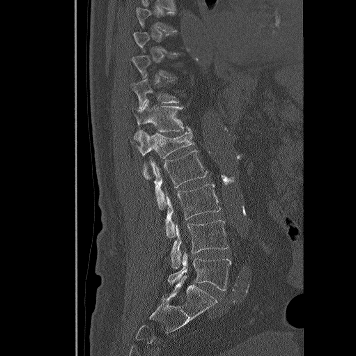
Spine CT · sagittal view · 356x356 px

Each box given as x1,y1,x2,y2.
Not every vertebra on this slice has a box: a vertebra is boxed only from the first to the last slice where its cross-section is at least a third of its largest, and this slice is outside that range for at least one of them.
L5: x1=168, y1=252, x2=231, y2=290
L4: x1=170, y1=220, x2=227, y2=268
L3: x1=165, y1=184, x2=220, y2=237
L2: x1=149, y1=150, x2=207, y2=209
L1: x1=134, y1=130, x2=193, y2=179
T12: x1=131, y1=100, x2=191, y2=131
T11: x1=129, y1=79, x2=178, y2=109